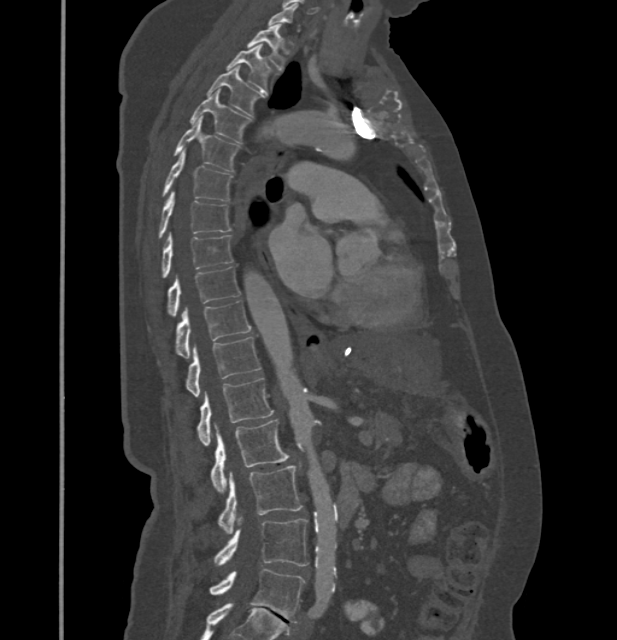 Spine computed tomography; sagittal view. Boxes are (x1, y1, x2, y2) in pixels.
Each vertebra is boxed only on the slices from the first to the last where its cross-section reaches a third of its largest, so a slice outside that range leaves it unboxed.
In these labels the thoracic vertebrae end at T11, so L1 follows T11.
Vertebra bounding boxes:
- T1: (247, 25, 285, 71)
- T2: (227, 45, 271, 91)
- T3: (207, 66, 264, 116)
- T4: (190, 90, 250, 142)
- T5: (174, 119, 239, 171)
- T6: (162, 152, 232, 201)
- T7: (158, 192, 230, 238)
- T8: (162, 233, 233, 278)
- T9: (168, 267, 240, 316)
- T10: (176, 300, 250, 358)
- T11: (186, 337, 261, 396)
- L1: (196, 377, 273, 445)
- L2: (210, 419, 287, 492)
- L3: (218, 466, 302, 534)
- L4: (215, 519, 308, 565)
- L5: (210, 569, 305, 622)